Spine CT. sagittal view. image 500 mm wide. 556x600 px. scan covers 10 annotated vertebrae
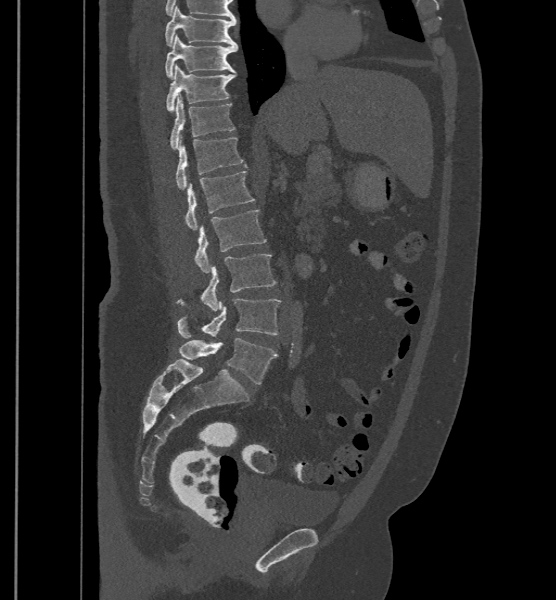

Box edges are left/top/right/bottom in pixels.
These labels give the spine a sixth lumbar vertebra, L6, below L5.
Vertebra bounding boxes:
- T9: left=165, top=6, right=236, bottom=46
- T10: left=165, top=35, right=237, bottom=78
- T11: left=166, top=64, right=234, bottom=111
- T12: left=170, top=96, right=234, bottom=149
- L1: left=176, top=137, right=243, bottom=189
- L2: left=184, top=170, right=255, bottom=230
- L3: left=193, top=210, right=266, bottom=272
- L4: left=177, top=253, right=276, bottom=310
- L5: left=177, top=298, right=280, bottom=338
- L6: left=179, top=338, right=277, bottom=383